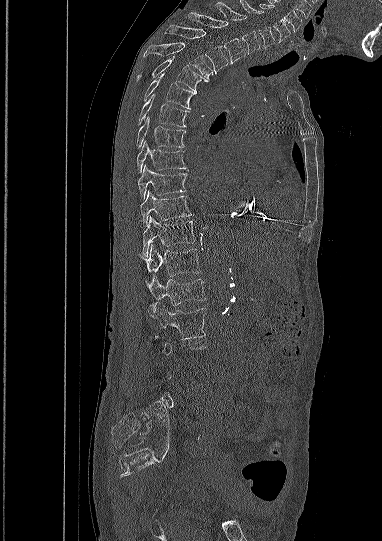 CT spine · sagittal view · Bone window (WL 400, WW 1800) · 382x541 px

Each vertebra is boxed only on the slices from the first to the last where its cross-section reaches a third of its largest, so a slice outside that range leaves it unboxed.
<vertebrae><v name="L2" x1="148" y1="302" x2="206" y2="338"/><v name="L1" x1="146" y1="276" x2="205" y2="305"/><v name="T12" x1="142" y1="244" x2="200" y2="279"/><v name="T11" x1="142" y1="216" x2="194" y2="259"/><v name="T10" x1="140" y1="191" x2="191" y2="226"/><v name="T9" x1="138" y1="165" x2="186" y2="199"/><v name="T8" x1="136" y1="140" x2="185" y2="172"/><v name="T7" x1="137" y1="117" x2="186" y2="147"/><v name="T6" x1="138" y1="95" x2="189" y2="127"/><v name="T5" x1="143" y1="73" x2="193" y2="109"/><v name="T4" x1="136" y1="55" x2="207" y2="93"/><v name="T3" x1="143" y1="42" x2="212" y2="78"/><v name="T2" x1="165" y1="25" x2="228" y2="73"/><v name="T1" x1="188" y1="12" x2="244" y2="63"/><v name="C7" x1="215" y1="2" x2="260" y2="54"/><v name="C6" x1="240" y1="0" x2="275" y2="47"/><v name="C5" x1="259" y1="3" x2="290" y2="41"/></vertebrae>